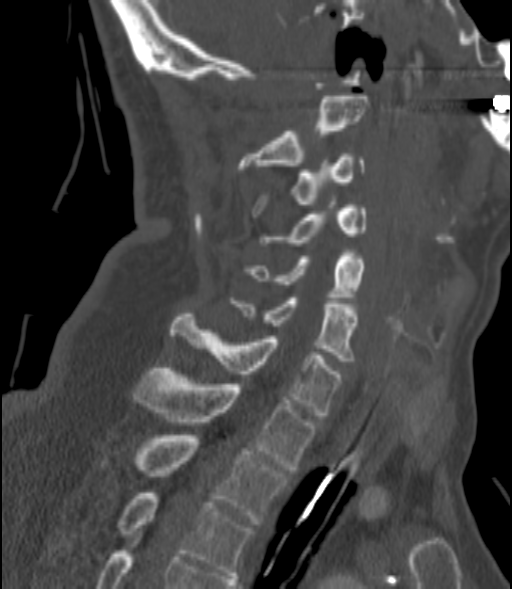

Spine CT; sagittal view; bone-window reconstruction; 512x589 px

Bounding boxes as [x1, y1, x2, y2] in pixel coordinates. 9 vertebrae labeled — C2 at [239, 96, 368, 172]; C3 at [251, 154, 363, 213]; C4 at [262, 205, 366, 245]; C5 at [247, 253, 366, 300]; C6 at [234, 298, 356, 364]; C7 at [171, 314, 340, 415]; T1 at [134, 368, 315, 469]; T2 at [101, 435, 287, 524]; T3 at [119, 493, 251, 578].